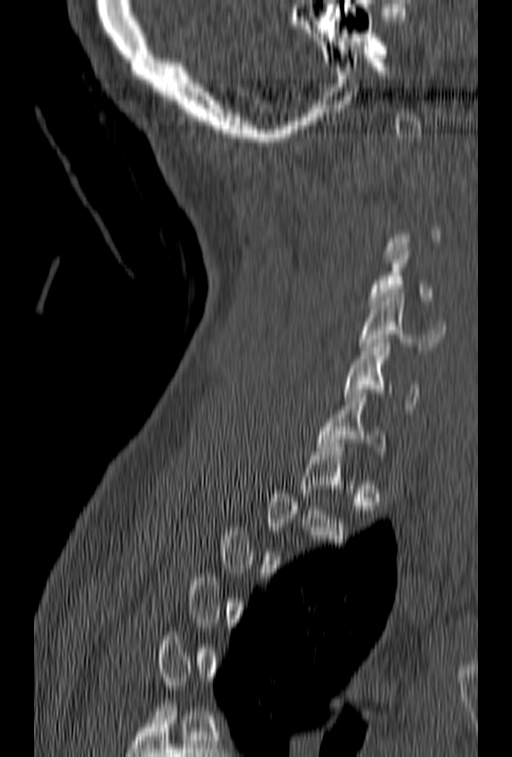

CT spine; the image spans 153 mm across; sagittal view; W/L 1800/400 HU; 512x757 px
A vertebra gets a box only on the slices from the first to the last where its cross-section is at least a third of its largest; on a slice outside that range it gets none.
<vertebrae><v name="C4" x1="368" y1="247" x2="431" y2="309"/><v name="C5" x1="359" y1="293" x2="445" y2="350"/><v name="C6" x1="343" y1="339" x2="418" y2="413"/><v name="C7" x1="316" y1="393" x2="385" y2="455"/></vertebrae>